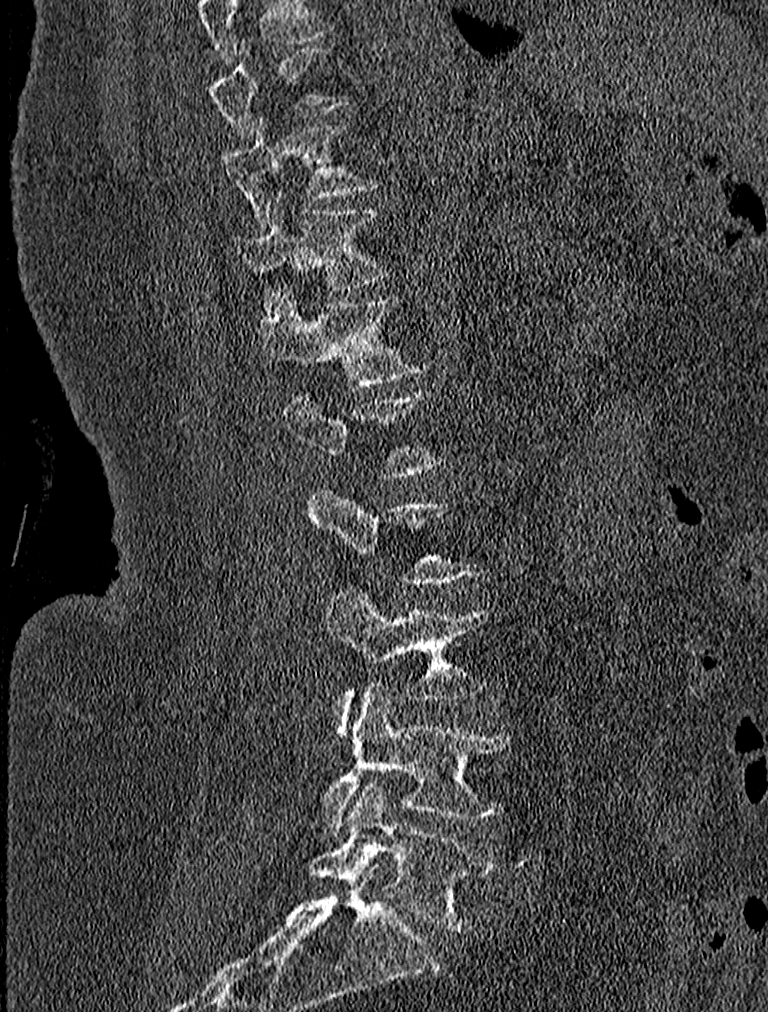 Spine computed tomography; sagittal view; 768x1012 px

Box edges are left/top/right/bottom in pixels. A vertebra is boxed only from the first to the last slice where its cross-section is at least a third of its largest; slices outside that range leave it without a box. Labels in this scan begin with T9 at the top and end with L5 at the bottom. The labeled vertebrae in this slice are: T9 at left=209, top=41, right=350, bottom=141, T10 at left=219, top=119, right=373, bottom=218, T11 at left=235, top=192, right=387, bottom=311, T12 at left=260, top=288, right=427, bottom=384, L3 at left=327, top=589, right=485, bottom=731, L4 at left=324, top=685, right=511, bottom=833, L5 at left=310, top=779, right=495, bottom=931.